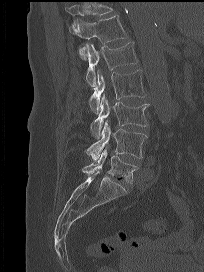
Computed tomography of the spine · image width 204 mm · sagittal view · Bone window (WL 400, WW 1800) · 204x272 px
Box values are [left, top, right, bottom] in pixels.
No box is given to a vertebra that the top edge of the scan cuts off.
{"vertebrae":{"T12":[69,15,127,60],"L1":[86,41,138,86],"L2":[89,70,146,114],"L3":[90,93,149,138],"L4":[84,120,147,160],"L5":[82,148,137,184]}}